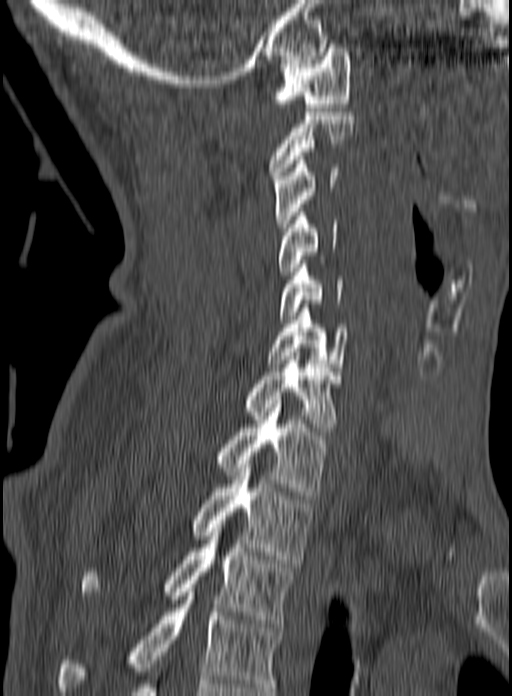
Spine CT — sagittal view — 512x696 px — 160 mm image width
Each box given as x1,y1,x2,y2.
This scan's labels start at C1 at the top and end at T3 at the bottom.
C1: x1=272, y1=48, x2=351, y2=111
C2: x1=268, y1=112, x2=355, y2=179
C3: x1=273, y1=156, x2=338, y2=231
C4: x1=278, y1=212, x2=338, y2=279
C5: x1=280, y1=260, x2=343, y2=319
C6: x1=265, y1=304, x2=348, y2=367
C7: x1=244, y1=356, x2=340, y2=431
T1: x1=216, y1=400, x2=334, y2=499
T2: x1=193, y1=464, x2=314, y2=563
T3: x1=81, y1=516, x2=291, y2=627